CT; Sagittal slice 64/154; 154 mm across the image; 5 vertebrae labeled in this scan
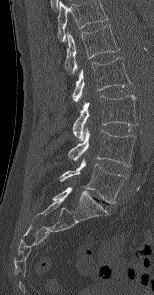
Boxes: x1:y1:x2:y2 in pixels.
This scan's labels start at L1 at the top and end at L5 at the bottom.
L1: 64:24:120:73
L2: 72:57:131:106
L3: 73:95:137:140
L4: 68:129:135:166
L5: 60:160:127:203